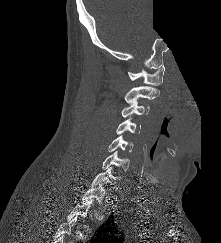 Spine CT · 221 mm across the image · sagittal view · 221x243 px · some of the image was removed or blocked out with constant pixels
Each vertebra is boxed only on the slices from the first to the last where its cross-section reaches a third of its largest, so a slice outside that range leaves it unboxed.
<vertebrae><v name="C1" x1="128" y1="65" x2="164" y2="85"/><v name="C2" x1="124" y1="86" x2="159" y2="103"/><v name="C3" x1="121" y1="101" x2="149" y2="117"/><v name="C4" x1="116" y1="118" x2="140" y2="134"/><v name="C5" x1="108" y1="135" x2="133" y2="151"/><v name="C6" x1="102" y1="150" x2="129" y2="172"/><v name="C7" x1="91" y1="167" x2="121" y2="187"/><v name="T1" x1="81" y1="184" x2="110" y2="205"/></vertebrae>